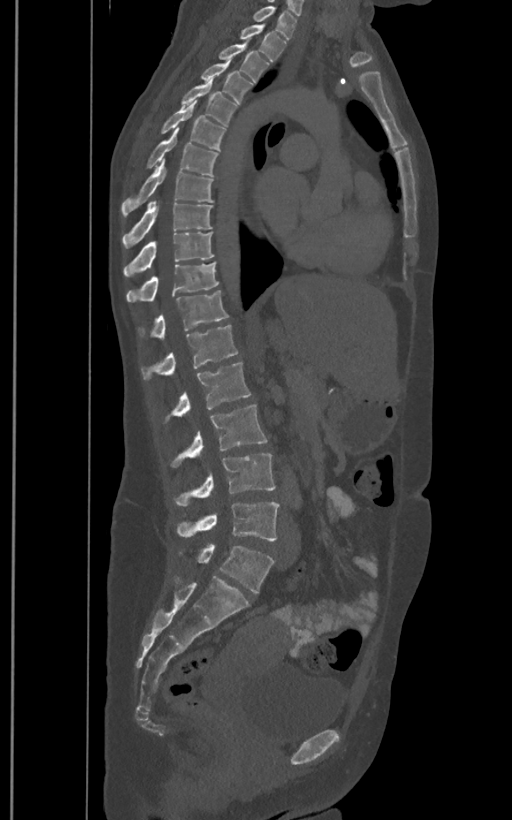

CT; sagittal view
In these labels the spine has an L6, a sixth lumbar vertebra below L5.
<vertebrae><v name="T1" x1="252" y1="6" x2="297" y2="39"/><v name="T2" x1="239" y1="24" x2="286" y2="61"/><v name="T3" x1="217" y1="44" x2="269" y2="83"/><v name="T4" x1="200" y1="60" x2="254" y2="104"/><v name="T5" x1="180" y1="77" x2="237" y2="126"/><v name="T6" x1="160" y1="100" x2="225" y2="150"/><v name="T7" x1="146" y1="128" x2="218" y2="175"/><v name="T8" x1="121" y1="160" x2="214" y2="217"/><v name="T9" x1="121" y1="200" x2="213" y2="249"/><v name="T10" x1="123" y1="232" x2="214" y2="277"/><v name="T11" x1="127" y1="263" x2="219" y2="301"/><v name="T12" x1="148" y1="290" x2="228" y2="339"/><v name="L1" x1="142" y1="325" x2="238" y2="379"/><v name="L2" x1="171" y1="362" x2="251" y2="416"/><v name="L3" x1="171" y1="404" x2="268" y2="468"/><v name="L4" x1="175" y1="453" x2="275" y2="506"/><v name="L5" x1="176" y1="501" x2="279" y2="540"/><v name="L6" x1="197" y1="544" x2="274" y2="592"/></vertebrae>